CT. sagittal view
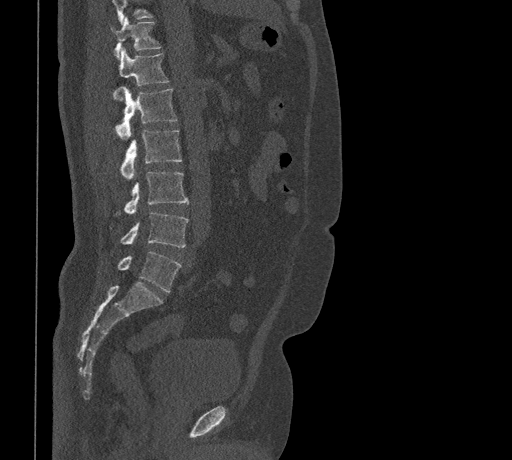
Boxes are (x1, y1, x2, y2) in pixels. No box is given to a vertebra that the top edge of the scan cuts off. 7 vertebrae labeled — T11 at (111, 17, 161, 59); T12 at (113, 48, 168, 98); L1 at (116, 87, 176, 139); L2 at (120, 130, 182, 179); L3 at (118, 171, 189, 214); L4 at (120, 212, 188, 247); L5 at (117, 251, 181, 292).